CT spine. Sagittal slice 383/768. image width 210 mm. bone window
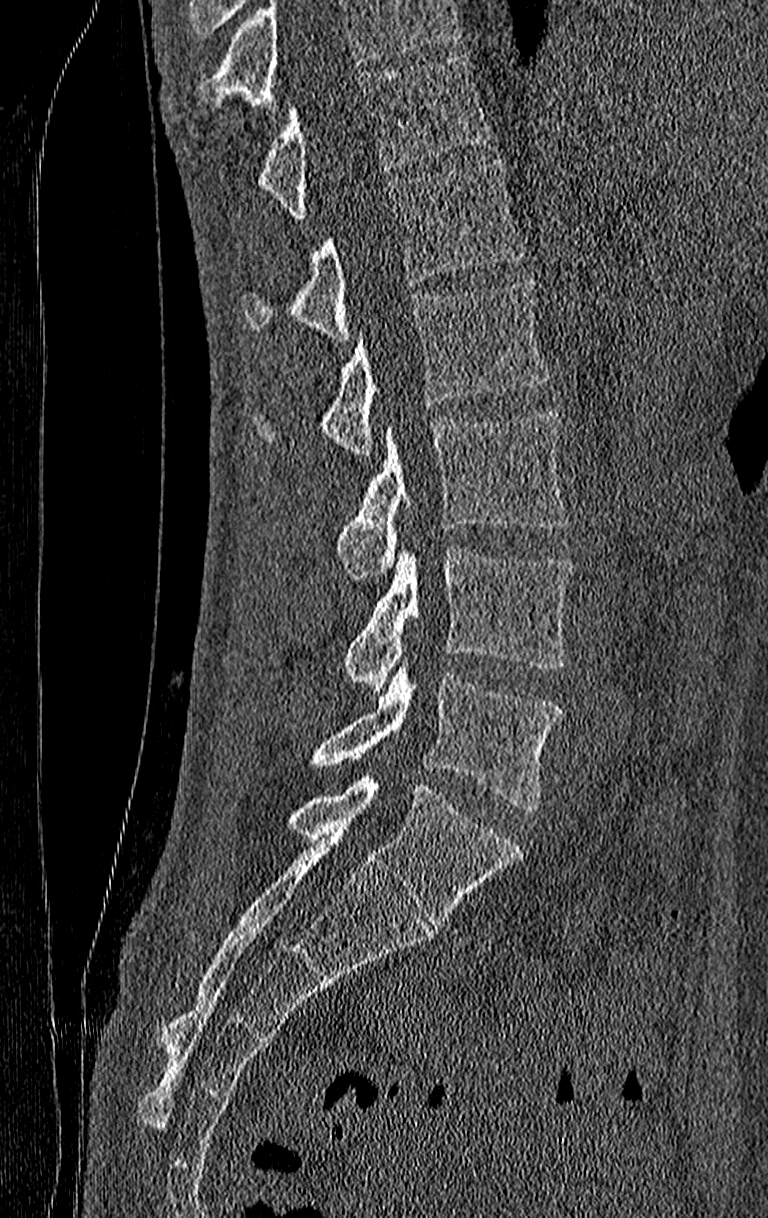
A vertebra cut off by the top edge of the scan is not labeled and has no box.
The highest labeled vertebra in this scan is T11; the lowest is L4.
<vertebrae><v name="T11" x1="258" y1="56" x2="488" y2="220"/><v name="T12" x1="244" y1="158" x2="524" y2="340"/><v name="L1" x1="320" y1="278" x2="550" y2="457"/><v name="L2" x1="335" y1="410" x2="568" y2="578"/><v name="L3" x1="346" y1="546" x2="572" y2="692"/><v name="L4" x1="310" y1="655" x2="561" y2="812"/></vertebrae>